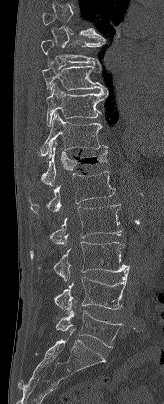 Spine computed tomography. sagittal view. bone-window reconstruction. 164x404 px

Box edges are left/top/right/bottom in pixels.
Each vertebra is boxed only on the slices from the first to the last where its cross-section reaches a third of its largest, so a slice outside that range leaves it unboxed.
L5: left=55, top=311, right=122, bottom=348
L4: left=54, top=268, right=129, bottom=313
L3: left=30, top=241, right=129, bottom=282
L2: left=49, top=204, right=121, bottom=246
L1: left=29, top=171, right=115, bottom=213
T12: left=41, top=141, right=107, bottom=185
T11: left=40, top=112, right=108, bottom=158
T10: left=46, top=84, right=108, bottom=126
T9: left=41, top=62, right=107, bottom=91
T8: left=40, top=40, right=105, bottom=65